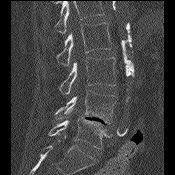
CT, spine · sagittal view. Each box given as x1,y1,x2,y2.
No box is given to a vertebra that the top edge of the scan cuts off.
L2: x1=57, y1=22, x2=111, y2=66
L3: x1=59, y1=57, x2=115, y2=94
L4: x1=55, y1=91, x2=117, y2=123
L5: x1=48, y1=116, x2=109, y2=149